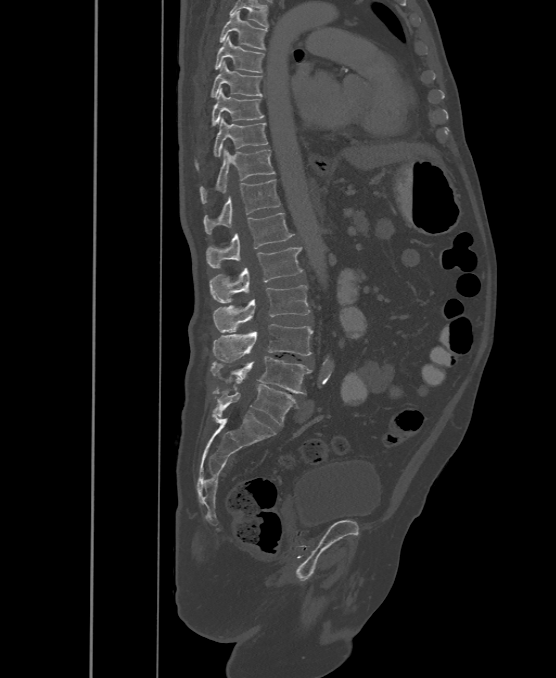
CT spine — sagittal view — Bone window (WL 400, WW 1800) — image 500 mm wide — 556x678 px. Box edges are left/top/right/bottom in pixels.
These labels give the spine a sixth lumbar vertebra, L6, below L5.
| vertebra | x1 | y1 | x2 | y2 |
|---|---|---|---|---|
| L6 | 214 | 384 | 297 | 425 |
| L5 | 211 | 356 | 312 | 394 |
| L4 | 213 | 324 | 313 | 362 |
| L3 | 214 | 285 | 310 | 333 |
| L2 | 211 | 247 | 303 | 303 |
| L1 | 206 | 213 | 293 | 267 |
| T12 | 203 | 179 | 280 | 234 |
| T11 | 200 | 149 | 275 | 203 |
| T10 | 195 | 118 | 268 | 169 |
| T9 | 212 | 88 | 265 | 126 |
| T8 | 211 | 61 | 263 | 97 |
| T7 | 215 | 36 | 264 | 73 |
| T6 | 219 | 11 | 267 | 49 |